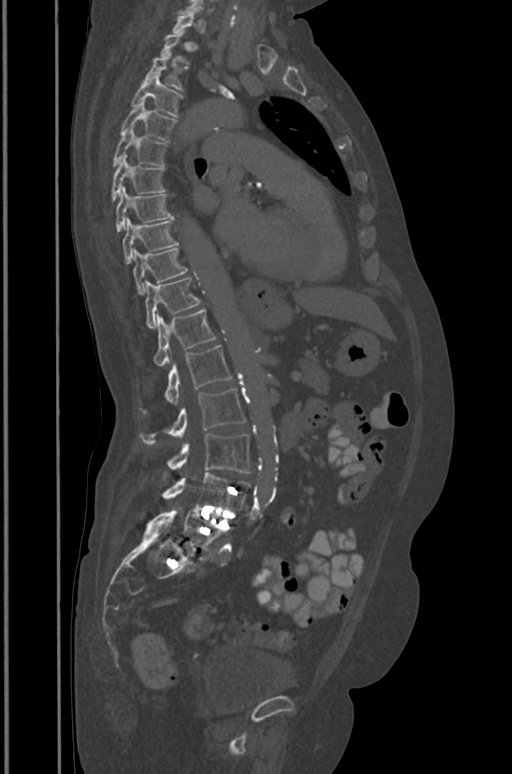

Spine CT — sagittal reformat — bone window — image width 391 mm

Boxes: x1 y1 x2 y2 (pixel coords, space-separated). A vertebra gets a box only on the slices from the first to the last where its cross-section is at least a third of its largest; on a slice outside that range it gets none. Vertebrae labeled: L5 at 147 507 227 548, L4 at 162 472 250 513, L3 at 166 434 250 473, L2 at 139 389 245 444, L1 at 139 345 232 412, T12 at 153 308 215 365, T11 at 145 277 199 328, T10 at 134 248 188 295, T9 at 122 218 177 263, T8 at 115 187 172 232, T7 at 111 155 165 200, T6 at 113 127 167 166, T5 at 120 101 176 139, T4 at 131 74 182 116, T3 at 144 51 184 90.